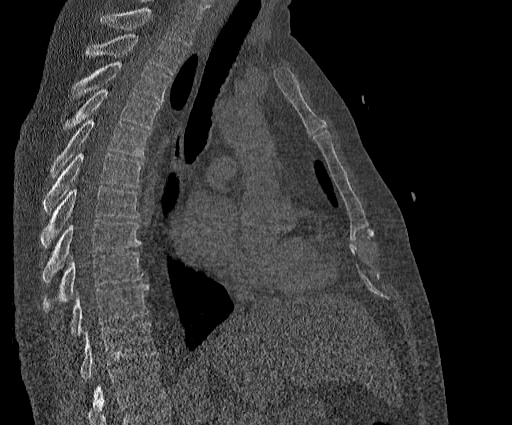
Spine CT. sagittal view. 512x425 px
Box edges are left/top/right/bottom in pixels.
A vertebra cut off by the top edge of the scan is not labeled and has no box.
This scan's labels start at T2 at the top and end at T11 at the bottom.
T2: left=85, top=33, right=184, bottom=74
T3: left=72, top=63, right=171, bottom=100
T4: left=61, top=89, right=160, bottom=131
T5: left=50, top=120, right=149, bottom=176
T6: left=42, top=153, right=143, bottom=214
T7: left=41, top=187, right=139, bottom=247
T8: left=42, top=220, right=140, bottom=283
T9: left=42, top=252, right=143, bottom=311
T10: left=70, top=284, right=148, bottom=335
T11: left=80, top=323, right=156, bottom=380